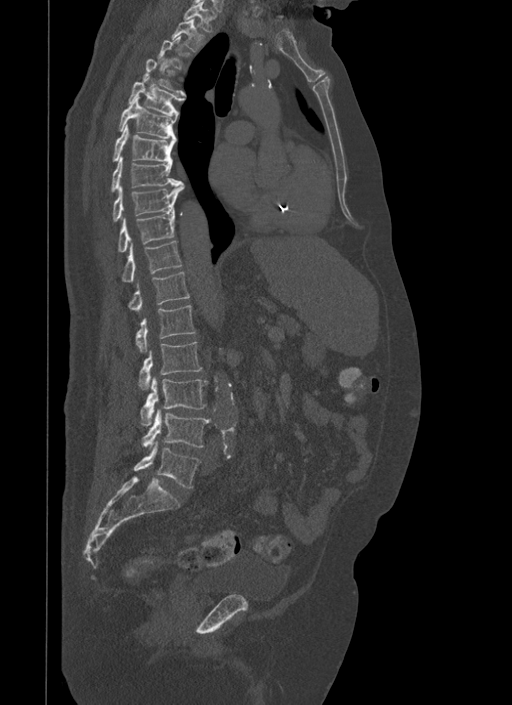

Spine CT. sagittal view. 500 mm image width
Boxes below are [x1, y1, x2, y2] in pixels.
Not every vertebra on this slice has a box: a vertebra is boxed only from the first to the last slice where its cross-section is at least a third of its largest, and this slice is outside that range for at least one of them.
{"vertebrae":{"T1":[183,0,216,32],"T2":[172,18,204,51],"T5":[128,76,184,119],"T6":[118,96,175,137],"T7":[112,124,175,162],"T8":[111,157,181,192],"T9":[112,182,184,221],"T10":[118,212,175,252],"T11":[121,241,182,282],"T12":[127,271,190,310],"L1":[136,305,195,352],"L2":[139,342,202,389],"L3":[141,377,207,426],"L4":[143,409,210,449],"L5":[134,441,200,487]}}